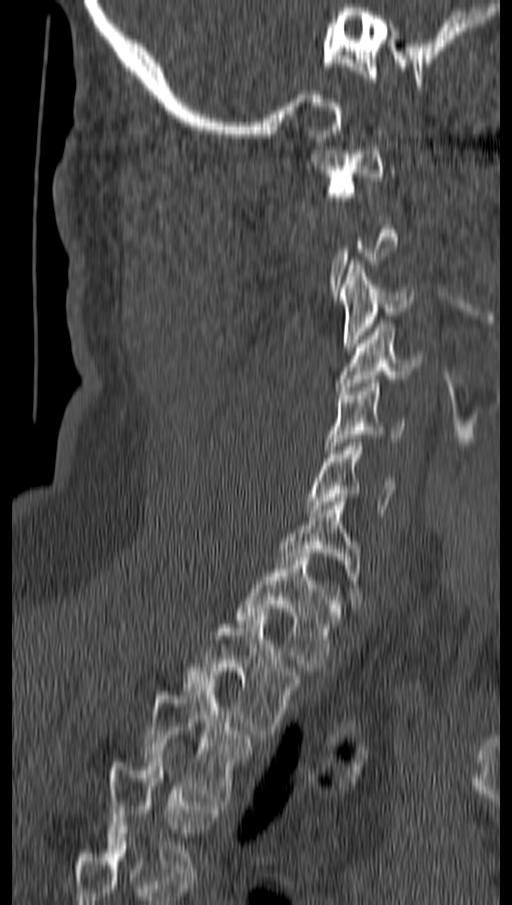

Computed tomography of the spine; sagittal view
Each vertebra is boxed only on the slices from the first to the last where its cross-section reaches a third of its largest, so a slice outside that range leaves it unboxed.
<vertebrae><v name="C1" x1="311" y1="142" x2="386" y2="200"/><v name="C3" x1="339" y1="261" x2="414" y2="351"/><v name="C4" x1="336" y1="324" x2="423" y2="390"/><v name="C5" x1="327" y1="379" x2="405" y2="453"/><v name="C6" x1="304" y1="439" x2="396" y2="513"/><v name="C7" x1="279" y1="502" x2="360" y2="603"/><v name="T1" x1="235" y1="557" x2="341" y2="671"/><v name="T2" x1="184" y1="616" x2="300" y2="738"/><v name="T3" x1="143" y1="683" x2="253" y2="805"/><v name="T4" x1="105" y1="759" x2="221" y2="876"/></vertebrae>